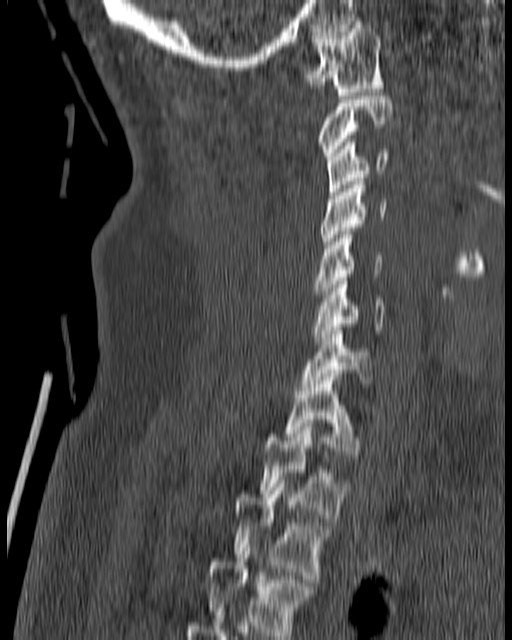
CT; sagittal reformat; 180 mm image width
Each box given as x1,y1,x2,y2.
Vertebra bounding boxes:
- C1: x1=305, y1=21, x2=384, y2=95
- C2: x1=317, y1=92, x2=393, y2=159
- C3: x1=327, y1=139, x2=389, y2=195
- C4: x1=322, y1=178, x2=387, y2=248
- C5: x1=314, y1=231, x2=384, y2=294
- C6: x1=311, y1=277, x2=387, y2=344
- C7: x1=300, y1=331, x2=373, y2=390
- T1: x1=283, y1=377, x2=358, y2=458
- T2: x1=260, y1=423, x2=350, y2=518
- T3: x1=234, y1=480, x2=333, y2=582
- T4: x1=205, y1=548, x2=310, y2=635